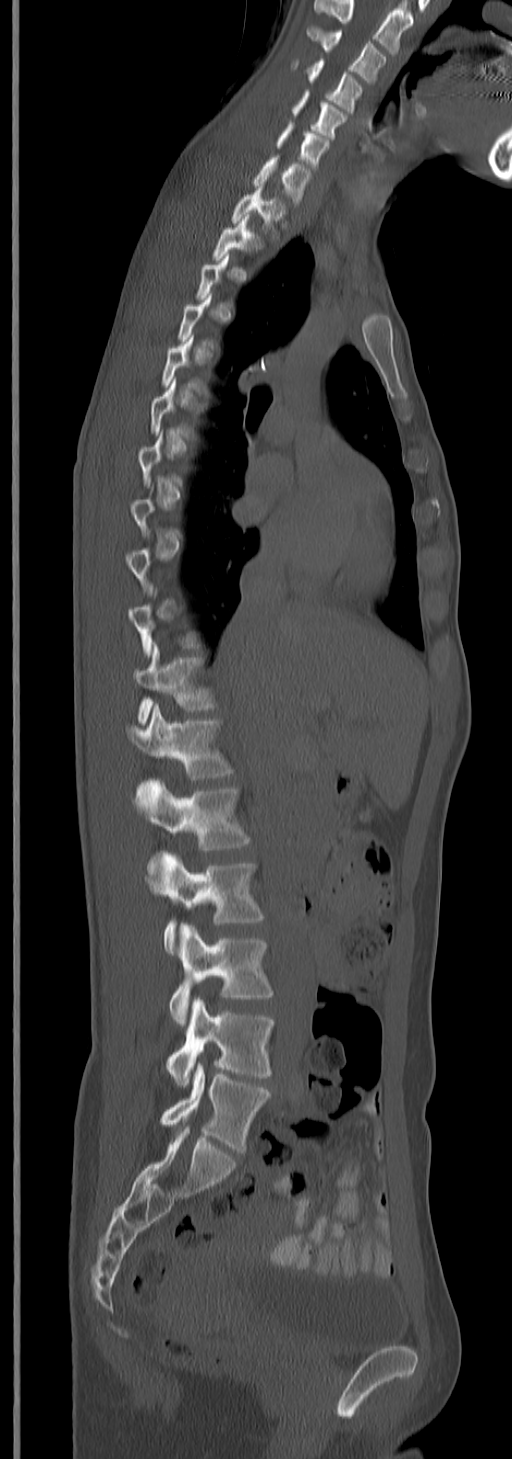
CT spine — sagittal view — W/L 1800/400 HU

Boxes are (x1, y1, x2, y2) in pixels.
Each vertebra is boxed only on the slices from the first to the last where its cross-section reaches a third of its largest, so a slice outside that range leaves it unboxed.
In this scan, the topmost labeled vertebra is C3 and the lowest is L5.
Vertebra bounding boxes:
- C3: (308, 26, 386, 83)
- C4: (293, 59, 363, 110)
- C5: (291, 90, 346, 138)
- C6: (276, 122, 330, 169)
- C7: (251, 155, 311, 204)
- T1: (233, 184, 286, 234)
- T2: (212, 218, 263, 261)
- T11: (134, 644, 217, 725)
- T12: (126, 705, 234, 779)
- L1: (134, 778, 250, 892)
- L2: (161, 851, 265, 953)
- L3: (170, 922, 273, 1024)
- L4: (166, 998, 273, 1086)
- L5: (159, 1062, 271, 1153)